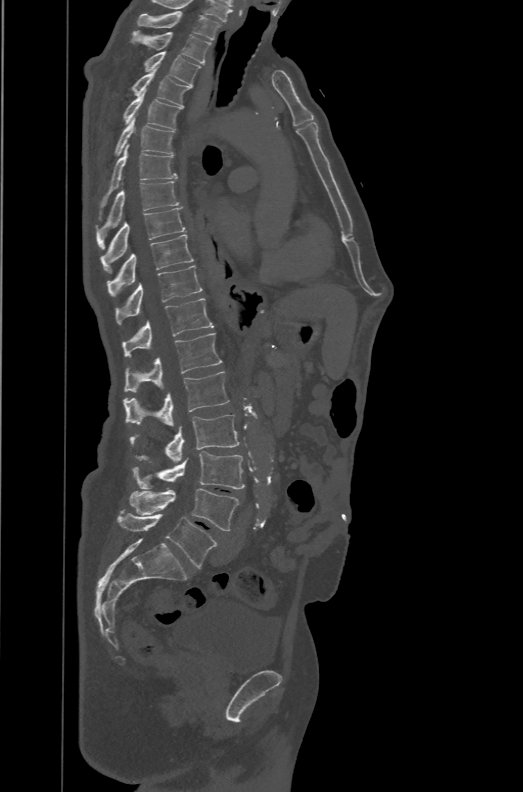
Spine CT; sagittal view; bone window; the image spans 471 mm across; 523x792 px
Boxes: x1 y1 x2 y2 (pixel coords, space-separated).
The labels name a sixth lumbar vertebra for this spine: L6, after L5.
Vertebra bounding boxes:
- T1: 136 11 220 40
- T2: 132 32 212 63
- T3: 144 51 200 87
- T4: 132 69 191 107
- T5: 123 91 181 130
- T6: 114 118 175 155
- T7: 97 144 177 220
- T8: 95 181 182 249
- T9: 100 208 185 273
- T10: 106 234 193 295
- T11: 116 265 202 324
- T12: 123 298 214 357
- L1: 125 333 221 391
- L2: 123 371 229 425
- L3: 130 414 240 462
- L4: 132 451 244 489
- L5: 129 488 239 530
- L6: 117 513 217 568